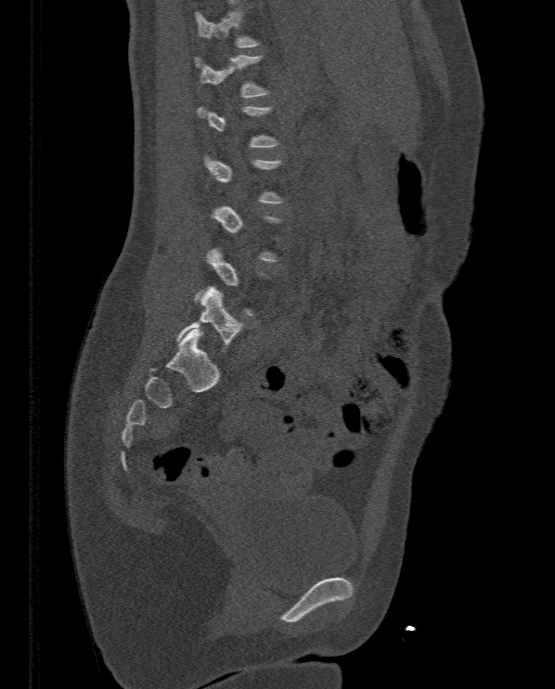 Spine CT; sagittal reformat; 555x689 px; image width 333 mm

Coordinates as <box>x1,y1,x2,y2</box>.
A vertebra gets a box only on the slices from the first to the last where its cross-section is at least a third of its largest; on a slice outside that range it gets none.
Vertebra bounding boxes:
- T11: <box>195,10,260,47</box>
- T12: <box>195,53,270,96</box>
- L5: <box>177,286,245,352</box>